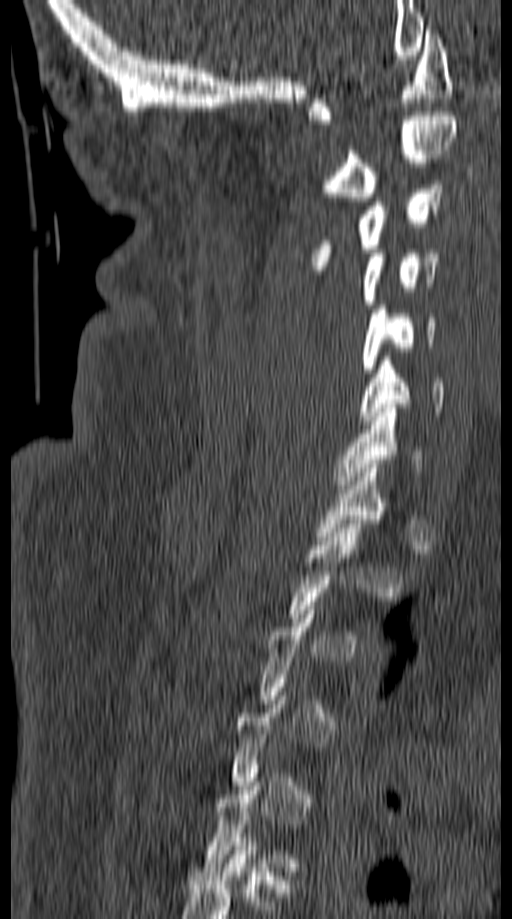
CT, spine; sagittal reformat; W/L 1800/400 HU; 512x919 px
Boxes: x1:y1:x2:y2 in pixels.
A vertebra is boxed only from the first to the last slice where its cross-section is at least a third of its largest; slices outside that range leave it without a box.
C7: 334:404:423:489
C6: 359:357:444:424
C5: 362:305:436:373
C4: 362:253:440:308
C3: 311:180:443:270
C2: 320:116:457:201
C1: 307:26:453:124